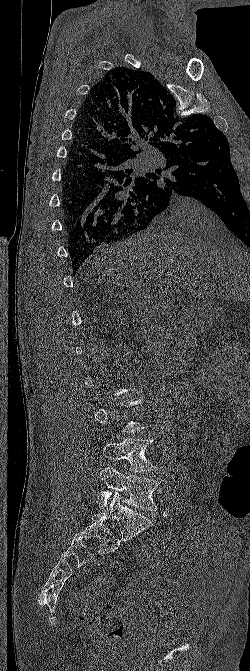

CT, spine — the image spans 250 mm across — sagittal view — bone-window reconstruction — 250x671 px

Each vertebra maps to its box as [x1, y1, x2, y2], the pixel coordinates of its top-left and bottom-right corners.
A vertebra gets a box only on the slices from the first to the last where its cross-section is at least a third of its largest; on a slice outside that range it gets none.
{"vertebrae":{"L4":[103,438,156,471],"L5":[98,466,159,510]}}